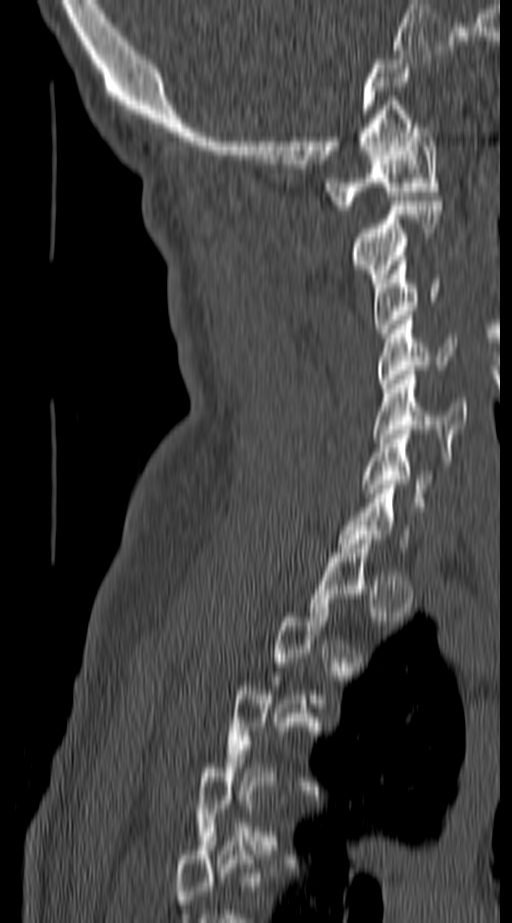

Spine computed tomography — sagittal view. Boxes: x1:y1:x2:y2 in pixels. Not every vertebra on this slice has a box: a vertebra is boxed only from the first to the last slice where its cross-section is at least a third of its largest, and this slice is outside that range for at least one of them. Vertebrae labeled: C6 at 362:430:436:493, C5 at 374:370:466:452, C4 at 378:315:454:388, C3 at 374:261:441:337, C2 at 352:201:439:287, C1 at 327:123:439:209.